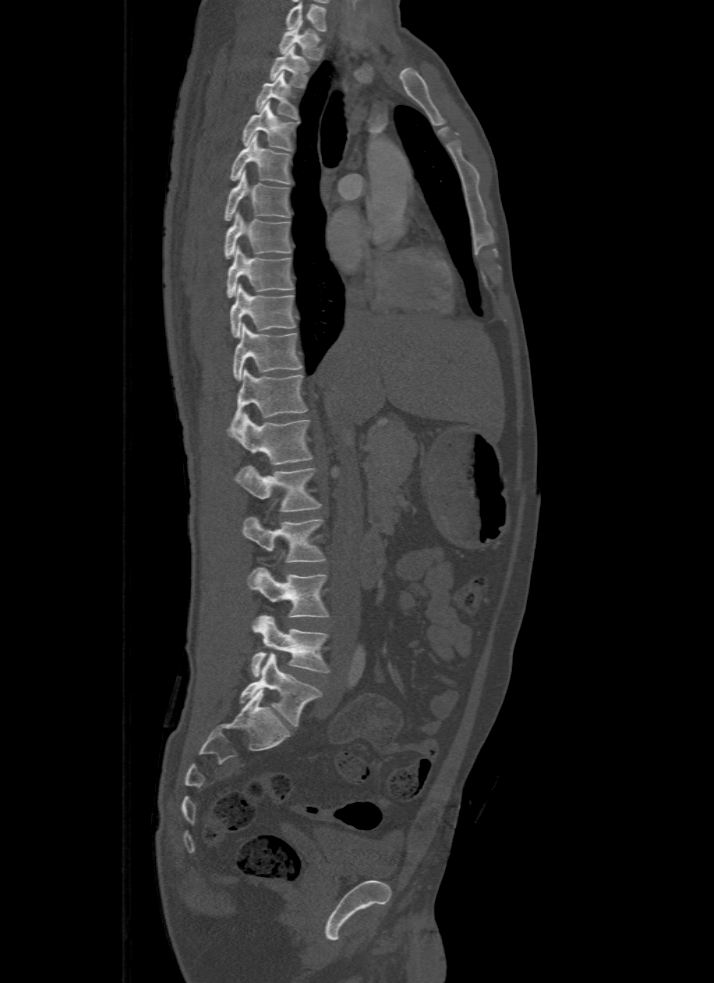
CT, spine; sagittal view; bone-window reconstruction; 714x983 px. Box edges are left/top/right/bottom in pixels.
The highest labeled vertebra in this scan is T1; the lowest is L5.
| vertebra | x1 | y1 | x2 | y2 |
|---|---|---|---|---|
| L5 | 240 | 653 | 321 | 725 |
| L4 | 250 | 615 | 330 | 677 |
| L3 | 247 | 568 | 330 | 617 |
| L2 | 241 | 518 | 325 | 562 |
| L1 | 234 | 466 | 321 | 511 |
| T12 | 227 | 413 | 311 | 464 |
| T11 | 232 | 369 | 307 | 428 |
| T10 | 233 | 323 | 302 | 381 |
| T9 | 230 | 283 | 296 | 337 |
| T8 | 226 | 246 | 293 | 297 |
| T7 | 225 | 212 | 291 | 258 |
| T6 | 225 | 170 | 291 | 221 |
| T5 | 230 | 133 | 292 | 184 |
| T4 | 241 | 102 | 298 | 151 |
| T3 | 255 | 72 | 298 | 119 |
| T2 | 271 | 46 | 310 | 88 |
| T1 | 279 | 20 | 323 | 59 |